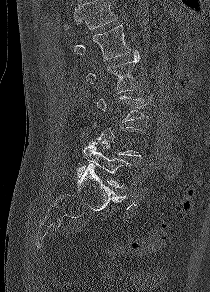 Computed tomography of the spine · image 210 mm wide · sagittal view
Each row gives a vertebra's box as x1, y1, x2, y2 in pixels: top-left corner, then bottom-right corner.
A vertebra is boxed only from the first to the last slice where its cross-section is at least a third of its largest; slices outside that range leave it without a box.
A vertebra cut off by the top edge of the scan is not labeled and has no box.
| vertebra | x1 | y1 | x2 | y2 |
|---|---|---|---|---|
| L1 | 74 | 25 | 130 | 60 |
| L2 | 85 | 50 | 140 | 92 |
| L5 | 75 | 143 | 131 | 187 |